Spine CT · sagittal plane, index 274 · image width 157 mm · scan covers 13 annotated vertebrae
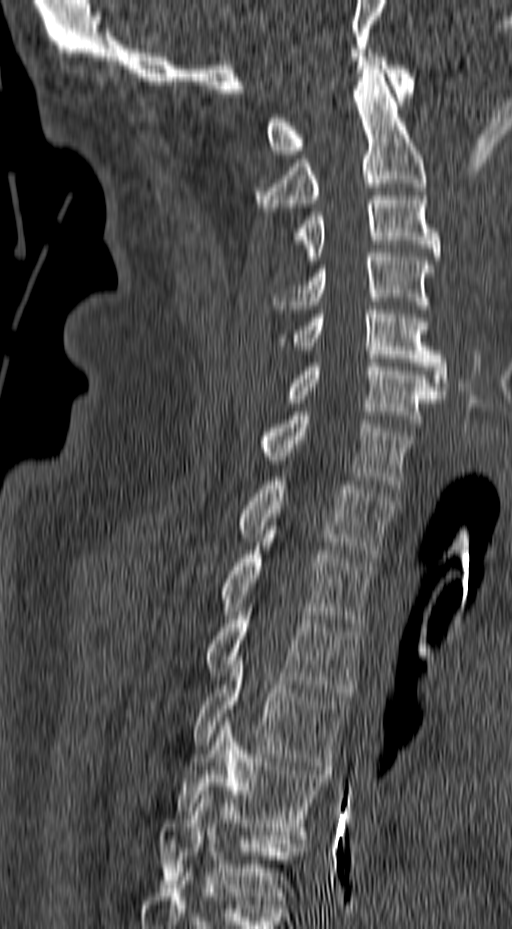
Each vertebra maps to its box as [x1, y1, x2, y2], the pixel coordinates of its top-left and bottom-right corners.
{"vertebrae":{"C1":[266,53,415,154],"C2":[253,65,427,207],"C3":[292,196,440,260],"C4":[273,253,434,309],"C5":[279,306,449,394],"C6":[286,359,443,427],"C7":[262,412,414,488],"T1":[239,481,395,557],"T2":[220,542,375,627],"T3":[207,607,362,696],"T4":[193,656,349,769],"T5":[174,717,323,835],"T6":[158,791,306,904]}}